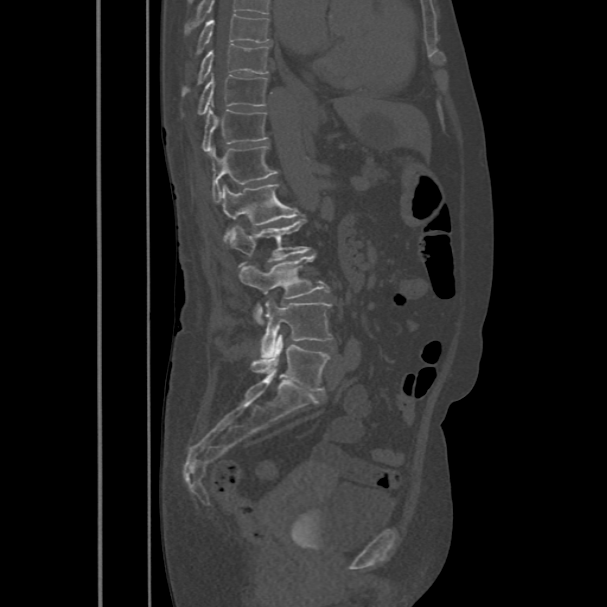
Spine CT — sagittal view — 607x607 px. Box edges are left/top/right/bottom in pixels. This scan's labels start at T8 at the top and end at L5 at the bottom. Vertebrae labeled: T8 at left=193, top=13, right=271, bottom=56, T9 at left=181, top=43, right=269, bottom=96, T10 at left=181, top=75, right=268, bottom=117, T11 at left=202, top=110, right=268, bottom=154, T12 at left=210, top=145, right=277, bottom=201, L1 at left=221, top=183, right=298, bottom=244, L2 at left=228, top=218, right=311, bottom=266, L3 at left=238, top=255, right=329, bottom=324, L4 at left=260, top=298, right=332, bottom=356, L5 at left=251, top=335, right=330, bottom=391.